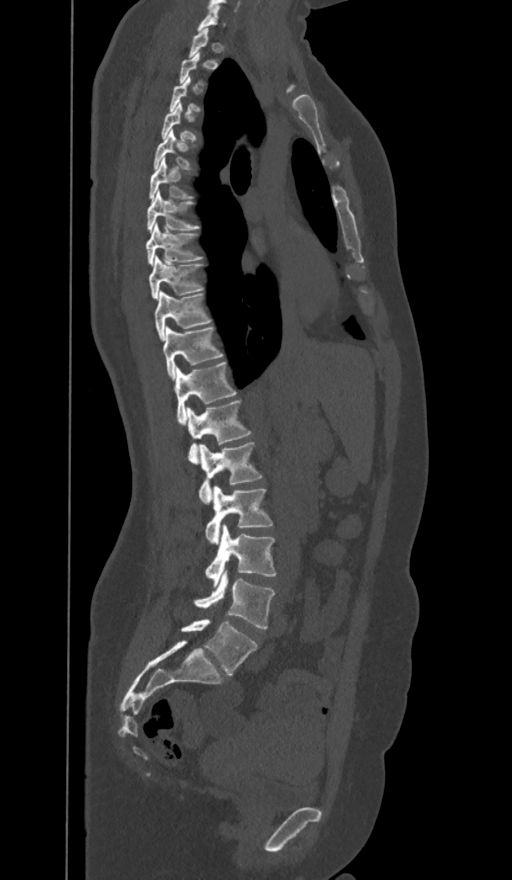
Computed tomography of the spine — sagittal view — bone-window reconstruction
Each vertebra is boxed only on the slices from the first to the last where its cross-section reaches a third of its largest, so a slice outside that range leaves it unboxed.
In these labels the spine has an L6, a sixth lumbar vertebra below L5.
<vertebrae><v name="C7" x1="198" y1="5" x2="219" y2="31"/><v name="T4" x1="161" y1="102" x2="196" y2="139"/><v name="T5" x1="153" y1="129" x2="197" y2="169"/><v name="T6" x1="149" y1="158" x2="192" y2="200"/><v name="T7" x1="148" y1="190" x2="199" y2="232"/><v name="T8" x1="146" y1="223" x2="201" y2="264"/><v name="T9" x1="149" y1="258" x2="201" y2="298"/><v name="T10" x1="155" y1="291" x2="211" y2="340"/><v name="T11" x1="163" y1="327" x2="222" y2="380"/><v name="T12" x1="174" y1="362" x2="236" y2="423"/><v name="L1" x1="186" y1="400" x2="251" y2="462"/><v name="L2" x1="198" y1="442" x2="262" y2="504"/><v name="L3" x1="205" y1="485" x2="273" y2="544"/><v name="L4" x1="205" y1="525" x2="275" y2="587"/><v name="L5" x1="194" y1="570" x2="274" y2="629"/><v name="L6" x1="182" y1="620" x2="256" y2="675"/></vertebrae>